Spine CT. sagittal view. part of the scan has been removed (filled with constant black)
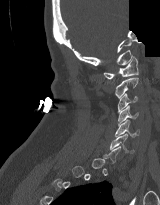 Boxes are given in columns x1, y1, x2, y2, the pixel coordinates of their top-left and bottom-right corners.
A vertebra gets a box only on the slices from the first to the last where its cross-section is at least a third of its largest; on a slice outside that range it gets none.
| vertebra | x1 | y1 | x2 | y2 |
|---|---|---|---|---|
| C1 | 103 | 56 | 138 | 79 |
| C2 | 114 | 77 | 138 | 98 |
| C3 | 117 | 93 | 137 | 112 |
| C4 | 118 | 105 | 138 | 126 |
| C5 | 115 | 120 | 139 | 136 |
| C6 | 110 | 134 | 134 | 153 |